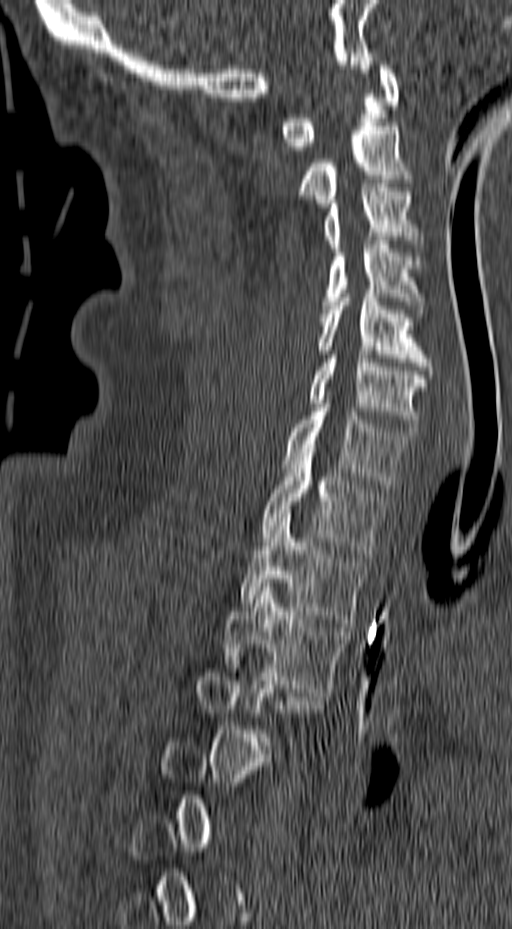
Spine CT. sagittal view. bone window. 512x929 px
Box values are [left, top, right, bottom] in pixels.
A vertebra gets a box only on the slices from the first to the last where its cross-section is at least a third of its largest; on a slice outside that range it gets none.
{"vertebrae":{"C1":[279,65,398,150],"C2":[298,122,411,207],"C3":[324,183,424,252],"C4":[321,241,425,317],"C5":[317,294,433,374],"C6":[308,355,427,431],"C7":[283,404,414,488],"T1":[261,448,385,557],"T2":[239,514,365,627],"T3":[223,583,349,696]}}